Spine computed tomography — Sagittal slice 241/512 — bone-window reconstruction — the image spans 391 mm across — 512x824 px
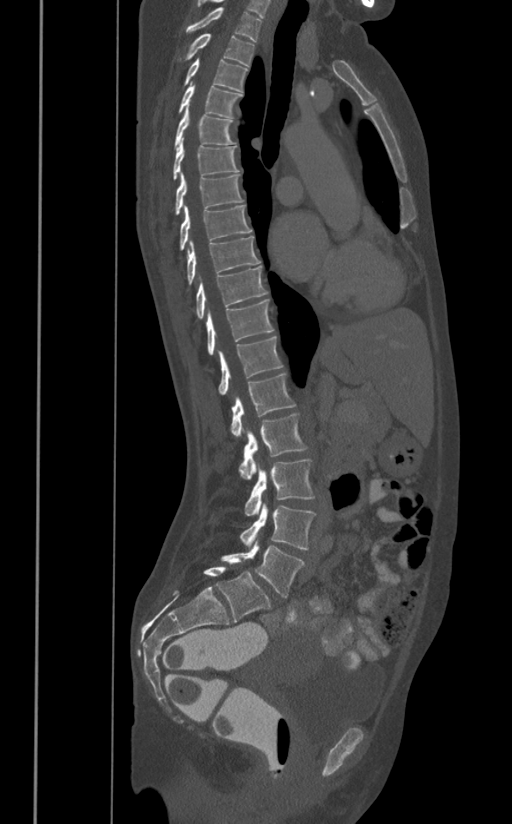

Boxes: x1 y1 x2 y2 (pixel coords, space-separated).
Vertebra bounding boxes:
- L5: 221 540 304 598
- L4: 239 503 316 549
- L3: 245 458 314 515
- L2: 239 412 308 479
- L1: 231 374 296 437
- T12: 218 336 283 395
- T11: 207 298 274 354
- T10: 196 266 267 318
- T9: 187 236 261 284
- T8: 180 204 252 249
- T7: 175 173 244 213
- T6: 173 137 240 179
- T5: 174 105 236 149
- T4: 178 81 242 117
- T3: 183 58 248 91
- T2: 179 33 254 66
- T1: 186 7 261 41